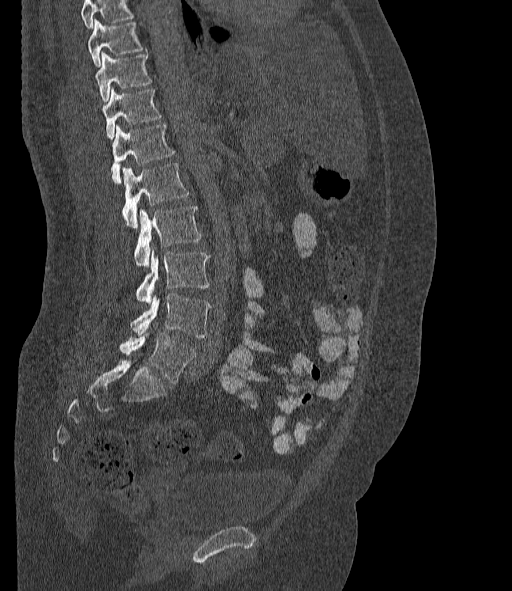
CT. sagittal view. W/L 1800/400 HU. Bounding boxes as [x1, y1, x2, y2] in pixel coordinates. No box is given to a vertebra that the top edge of the scan cuts off. The labels name a sixth lumbar vertebra for this spine: L6, after L5. Vertebrae labeled: T10 at [88, 20, 143, 67], T11 at [95, 53, 151, 102], T12 at [103, 88, 160, 139], L1 at [111, 124, 174, 184], L2 at [122, 163, 189, 229], L3 at [134, 206, 201, 265], L4 at [136, 251, 209, 302], L5 at [130, 293, 211, 337], L6 at [119, 333, 196, 383].